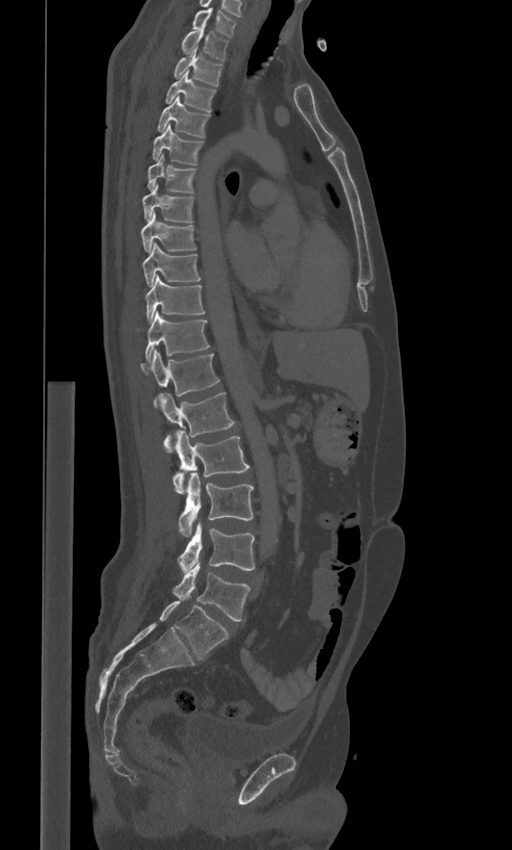

CT · sagittal view · Bone window (WL 400, WW 1800)
Boxes below are [x1, y1, x2, y2] in pixels.
These labels give the spine a sixth lumbar vertebra, L6, below L5.
{"vertebrae":{"L6":[159,601,228,660],"L5":[173,564,250,621],"L4":[178,521,254,571],"L3":[178,472,253,536],"L2":[172,431,249,493],"L1":[159,392,235,453],"T12":[141,350,220,408],"T11":[146,311,209,360],"T10":[146,275,205,320],"T9":[142,242,200,286],"T8":[141,212,197,253],"T7":[142,184,194,223],"T6":[148,153,195,192],"T5":[151,124,203,164],"T4":[157,95,210,137],"T3":[165,71,216,111],"T2":[173,51,222,86],"T1":[181,28,228,60],"C7":[192,8,236,36]}}